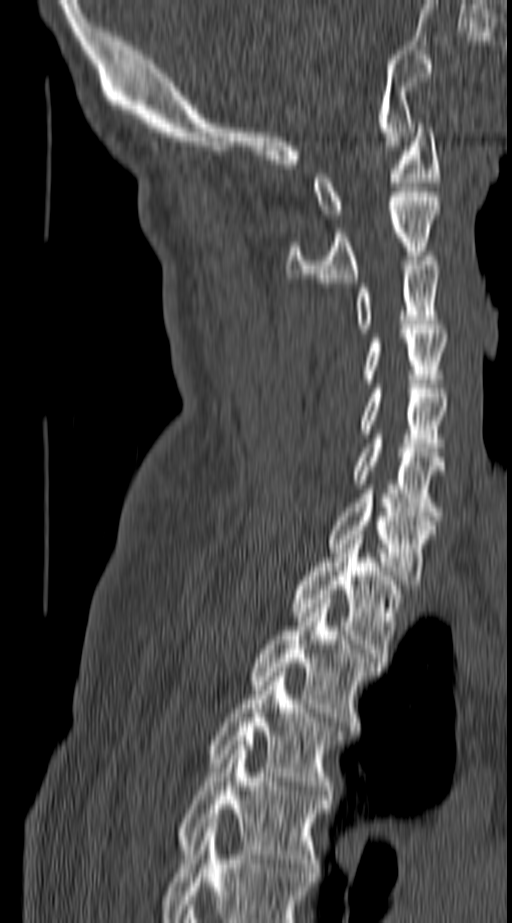 Spine computed tomography; sagittal reformat

Boxes: x1:y1:x2:y2 in pixels.
In this scan, the topmost labeled vertebra is C1 and the lowest is T4.
Vertebra bounding boxes:
- C1: 312:123:439:218
- C2: 287:192:439:282
- C3: 356:256:440:333
- C4: 363:329:447:383
- C5: 360:389:447:452
- C6: 352:434:444:516
- C7: 327:494:436:584
- T1: 294:535:399:657
- T2: 250:599:377:730
- T3: 210:672:340:794
- T4: 177:741:329:872